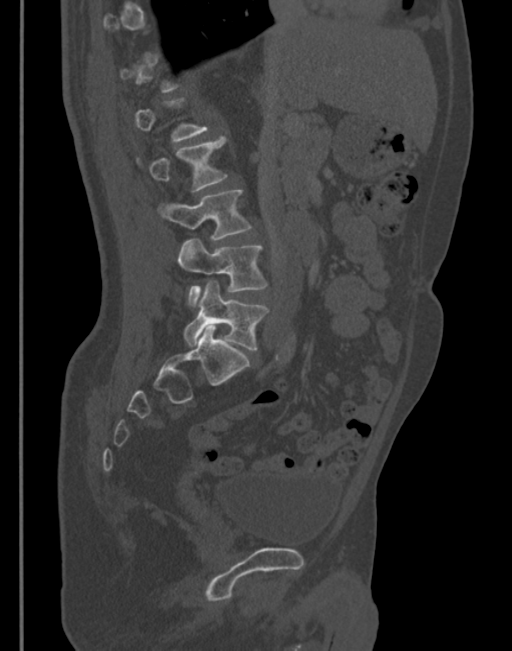 CT, spine · sagittal view
Boxes: x1:y1:x2:y2 in pixels. A vertebra is boxed only from the first to the last slice where its cross-section is at least a third of its largest; slices outside that range leave it without a box. 4 vertebrae labeled — L2 at 150:138:226:191; L3 at 162:189:251:240; L4 at 178:240:267:306; L5 at 184:281:267:350.